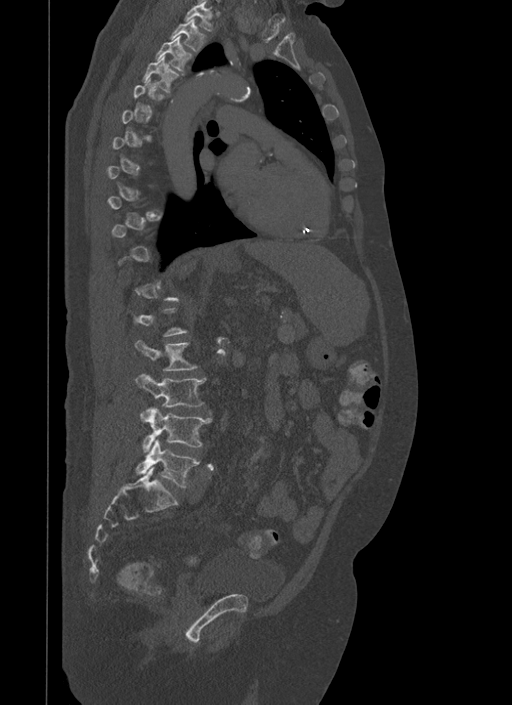
Spine CT — sagittal view — W/L 1800/400 HU
Bounding boxes as [x1, y1, x2, y2] in pixel coordinates. A vertebra is boxed only from the first to the last slice where its cross-section is at least a third of its largest; slices outside that range leave it without a box. The labeled vertebrae in this slice are: T1 at [184, 0, 212, 31], T2 at [171, 18, 205, 51], T3 at [156, 35, 192, 71], T4 at [144, 54, 178, 92], L2 at [136, 340, 197, 370], L3 at [136, 374, 205, 407], L4 at [143, 408, 211, 452], L5 at [137, 439, 199, 487].